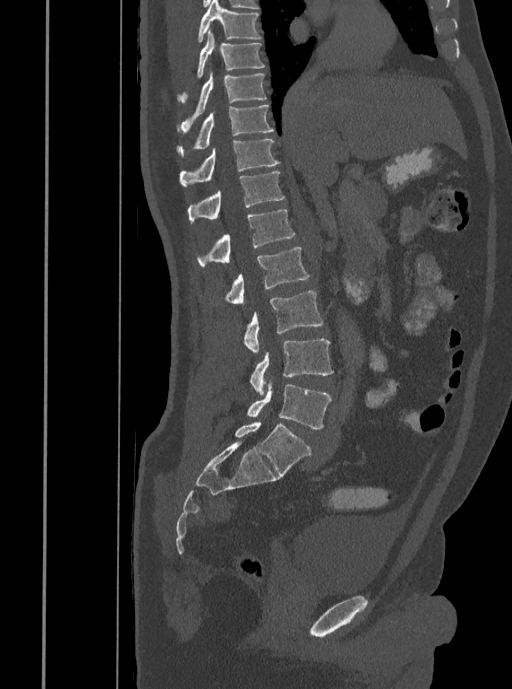

Spine computed tomography. sagittal view. 408 mm wide. Bounding boxes as [x1, y1, x2, y2] in pixel coordinates.
T7: [197, 0, 261, 42]
T8: [177, 28, 265, 103]
T9: [179, 71, 266, 132]
T10: [177, 104, 274, 156]
T11: [179, 139, 280, 186]
T12: [187, 171, 285, 223]
L1: [197, 210, 295, 267]
L2: [226, 247, 309, 304]
L3: [243, 290, 323, 353]
L4: [250, 339, 333, 395]
L5: [247, 382, 331, 428]